CT; Sagittal slice 172/380; bone window
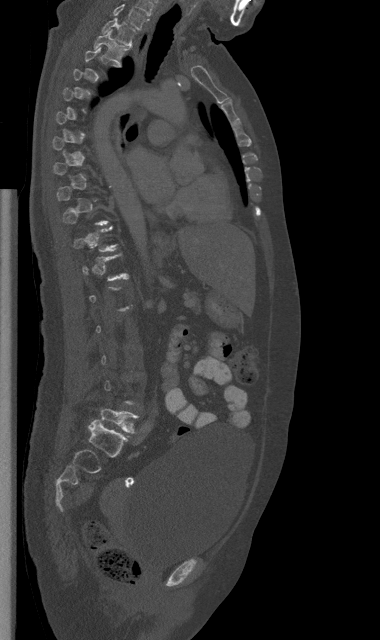 Boxes: x1 y1 x2 y2 (pixel coords, space-separated).
A vertebra is boxed only from the first to the last slice where its cross-section is at least a third of its largest; slices outside that range leave it without a box.
Vertebra bounding boxes:
- L5: 100 409 138 433
- T2: 94 30 128 65
- T1: 102 18 135 46
- C7: 113 4 148 29